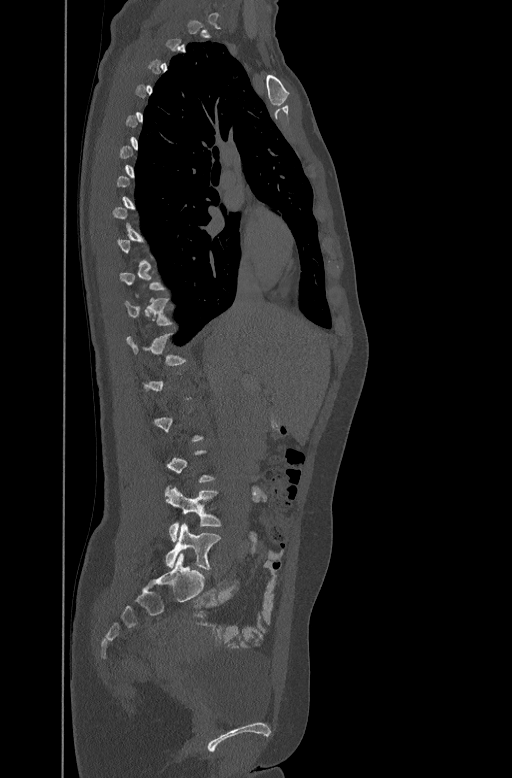
Spine computed tomography; sagittal view; bone-window reconstruction. Bounding boxes as [x1, y1, x2, y2] in pixel coordinates. A vertebra gets a box only on the slices from the first to the last where its cross-section is at least a third of its largest; on a slice outside that range it gets none. 3 vertebrae labeled — T11 at [125, 296, 170, 324]; L4 at [165, 487, 221, 540]; L5 at [165, 523, 220, 569].